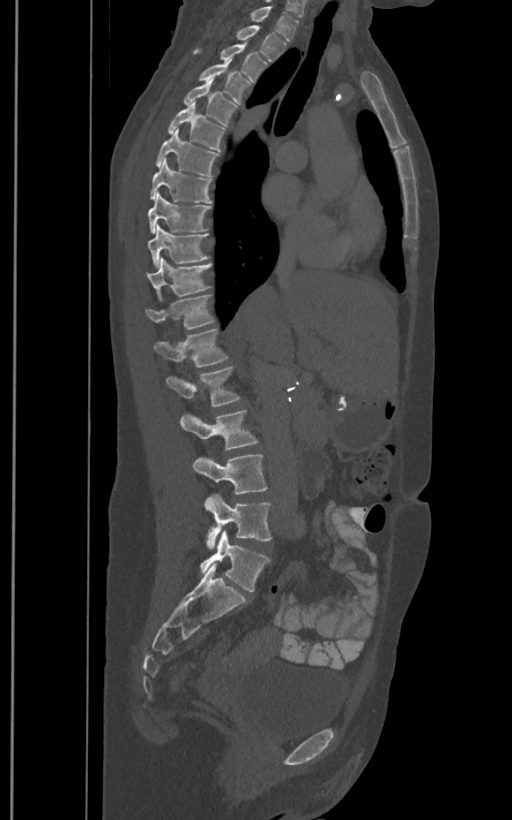

Computed tomography of the spine; sagittal reformat; bone window; image width 400 mm

Boxes: x1:y1:x2:y2 in pixels. In these labels the spine has an L6, a sixth lumbar vertebra below L5. 18 vertebrae labeled — T1 at 251:6:298:42; T2 at 237:25:286:60; T3 at 220:43:266:81; T4 at 200:58:251:104; T5 at 183:78:237:126; T6 at 168:103:225:151; T7 at 156:128:219:176; T8 at 150:159:211:203; T9 at 147:194:211:233; T10 at 147:225:209:267; T11 at 146:257:211:299; T12 at 144:294:214:330; L1 at 153:328:227:366; L2 at 166:367:239:406; L3 at 179:411:257:449; L4 at 192:454:266:494; L5 at 203:494:271:549; L6 at 197:530:269:591.